Spine CT. Sagittal slice 76/210. bone window. scan covers 8 annotated vertebrae. some of the image was removed or blocked out with constant pixels
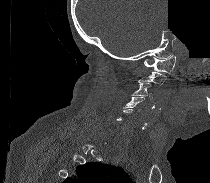 Box edges are left/top/right/bottom in pixels.
Not every vertebra on this slice has a box: a vertebra is boxed only from the first to the last slice where its cross-section is at least a third of its largest, and this slice is outside that range for at least one of them.
C1: left=144, top=55, right=175, bottom=73
C3: left=130, top=81, right=153, bottom=102
C4: left=123, top=97, right=145, bottom=110